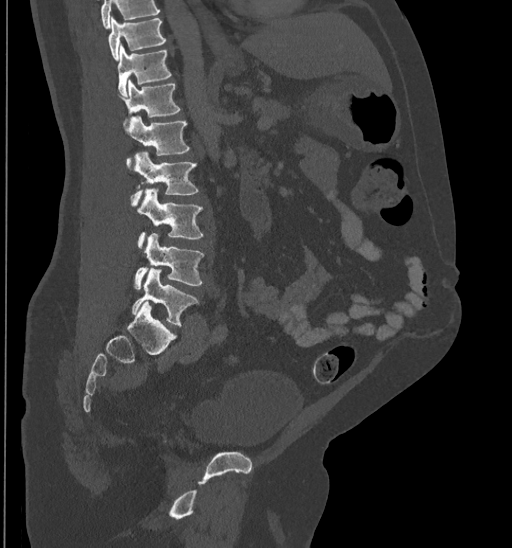 CT; image width 435 mm; sagittal view; bone window. Box edges are left/top/right/bottom in pixels.
Where the top of the scan cuts through a vertebra, that vertebra gets no label or box.
| vertebra | x1 | y1 | x2 | y2 |
|---|---|---|---|---|
| T10 | 108 | 16 | 166 | 59 |
| T11 | 118 | 44 | 171 | 96 |
| T12 | 117 | 79 | 180 | 124 |
| L1 | 125 | 115 | 190 | 164 |
| L2 | 131 | 151 | 198 | 206 |
| L3 | 136 | 189 | 203 | 247 |
| L4 | 133 | 233 | 204 | 289 |
| L5 | 132 | 268 | 198 | 325 |